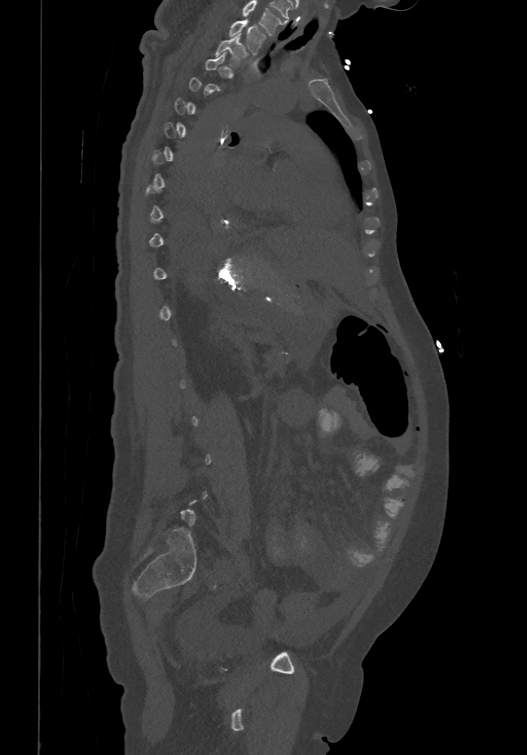 Spine CT — sagittal view — W/L 1800/400 HU
In the table, x1 and y1 are a box's top-left corner and x2 and y2 its bottom-right corner, in pixels.
Each vertebra is boxed only on the slices from the first to the last where its cross-section reaches a third of its largest, so a slice outside that range leaves it unboxed.
This scan's labels start at T1 at the top and end at L6 at the bottom.
| vertebra | x1 | y1 | x2 | y2 |
|---|---|---|---|---|
| T2 | 214 | 33 | 241 | 65 |
| T1 | 228 | 18 | 265 | 54 |